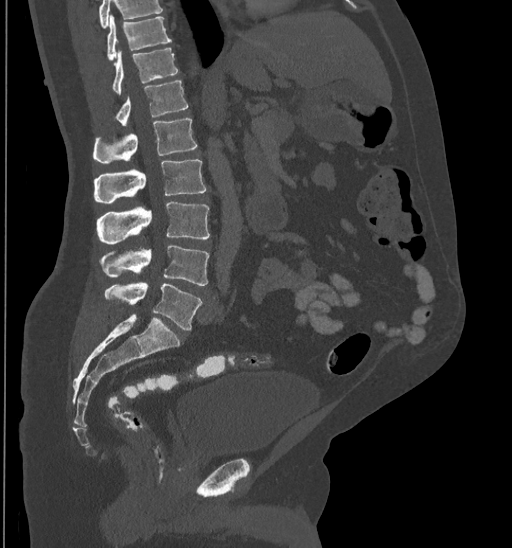

CT; sagittal reformat; W/L 1800/400 HU
Boxes: x1:y1:x2:y2 in pixels.
Vertebrae that run past the top of the scan are left unlabeled.
Vertebra bounding boxes:
- T10: 107:15:171:60
- T11: 112:48:178:94
- T12: 115:81:188:125
- L1: 93:119:197:163
- L2: 93:159:206:203
- L3: 98:201:210:243
- L4: 100:246:208:285
- L5: 105:282:201:331